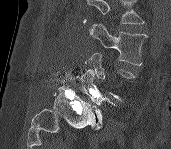
CT, spine. sagittal view. 171 mm wide. W/L 1800/400 HU
Vertebrae that run past the top of the scan are left unlabeled.
<vertebrae><v name="L3" x1="90" y1="23" x2="146" y2="65"/><v name="L4" x1="85" y1="52" x2="135" y2="102"/><v name="L5" x1="76" y1="69" x2="117" y2="131"/></vertebrae>